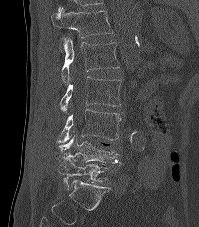

CT · sagittal view · bone window
Each box is [x1, y1, x2, y2] in pixels: top-left corner, then bottom-right corner.
{"vertebrae":{"T12":[51,7,112,51],"L1":[61,37,119,83],"L2":[60,76,121,113],"L3":[55,108,120,143],"L4":[59,135,124,165],"L5":[58,158,108,190]}}